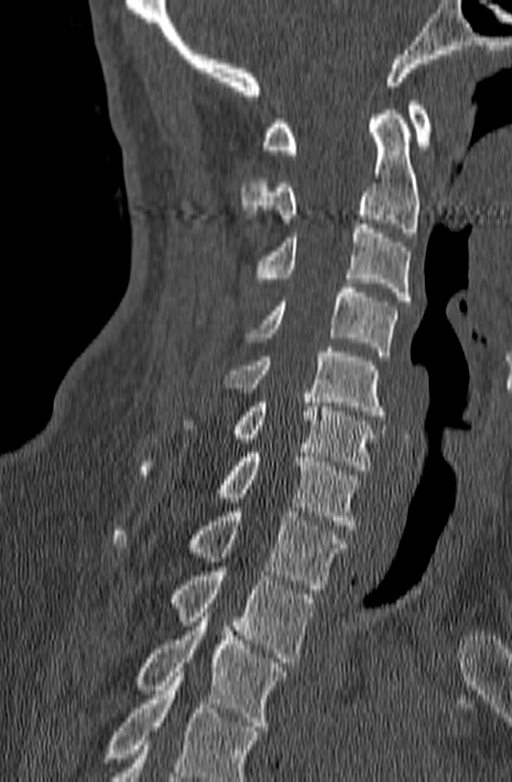 Spine CT · sagittal reformat · 140 mm wide
Each box is [x1, y1, x2, y2] in pixels: top-left corner, then bottom-right corner.
Where the bottom of the scan cuts through a vertebra, that vertebra gets no label or box.
{"vertebrae":{"T3":[134,608,287,730],"T2":[170,571,315,662],"T1":[112,507,348,589],"C7":[138,448,359,529],"C6":[181,393,377,470],"C5":[224,347,384,420],"C4":[246,283,397,356],"C3":[257,224,410,301],"C2":[241,110,420,237],"C1":[261,101,432,154]}}